CT spine — sagittal plane, index 146 — 382 mm wide
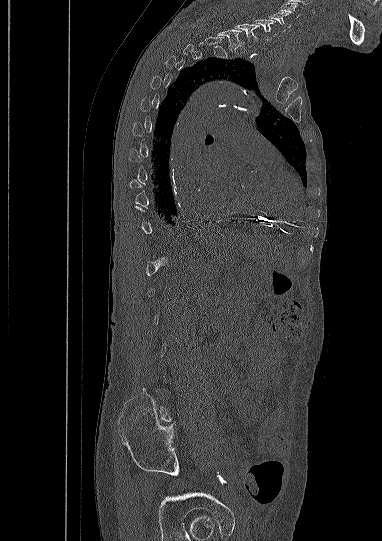

Boxes below are [x1, y1, x2, y2] in pixels.
Each vertebra is boxed only on the slices from the first to the last where its cross-section reaches a third of its largest, so a slice outside that range leaves it unboxed.
The highest labeled vertebra in this scan is C5; the lowest is L5.
{"vertebrae":{"C5":[270,12,290,31],"C6":[254,19,276,40],"C7":[235,23,259,46],"T1":[216,28,242,50]}}